CT · sagittal view · scan covers 8 annotated vertebrae
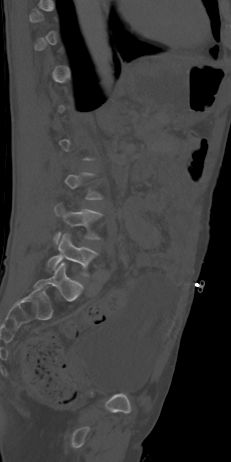

A vertebra gets a box only on the slices from the first to the last where its cross-section is at least a third of its largest; on a slice outside that range it gets none.
<vertebrae><v name="L4" x1="55" y1="204" x2="102" y2="242"/><v name="L5" x1="47" y1="233" x2="98" y2="276"/></vertebrae>